Spine CT — the image spans 403 mm across — sagittal reformat
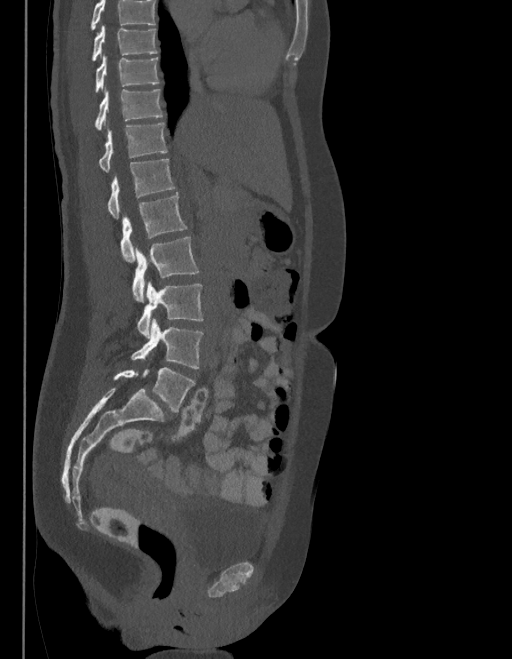 Boxes are (x1, y1, x2, y2) in pixels.
No box is given to a vertebra that the top edge of the scan cuts off.
The labels name a sixth lumbar vertebra for this spine: L6, after L5.
T9: (91, 25, 156, 61)
T10: (95, 55, 159, 93)
T11: (95, 89, 161, 130)
T12: (99, 122, 167, 172)
L1: (108, 158, 174, 219)
L2: (121, 193, 187, 261)
L3: (132, 237, 198, 302)
L4: (137, 281, 202, 337)
L5: (131, 319, 202, 368)
L6: (114, 368, 195, 412)